Spine CT · sagittal plane, index 184 · 162 mm wide · Bone window (WL 400, WW 1800)
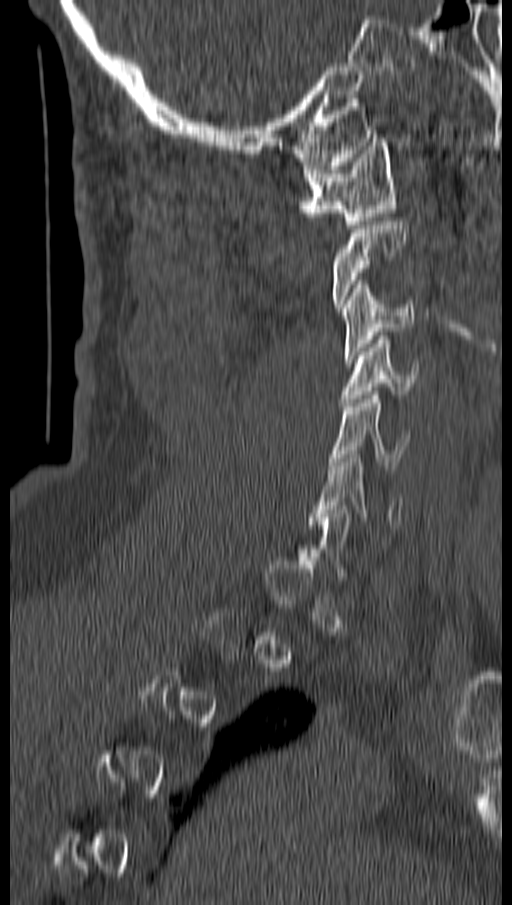 A vertebra gets a box only on the slices from the first to the last where its cross-section is at least a third of its largest; on a slice outside that range it gets none.
<vertebrae><v name="C1" x1="298" y1="138" x2="395" y2="228"/><v name="C3" x1="341" y1="280" x2="414" y2="362"/><v name="C4" x1="339" y1="336" x2="418" y2="406"/><v name="C5" x1="330" y1="391" x2="409" y2="469"/><v name="C6" x1="311" y1="454" x2="404" y2="528"/></vertebrae>